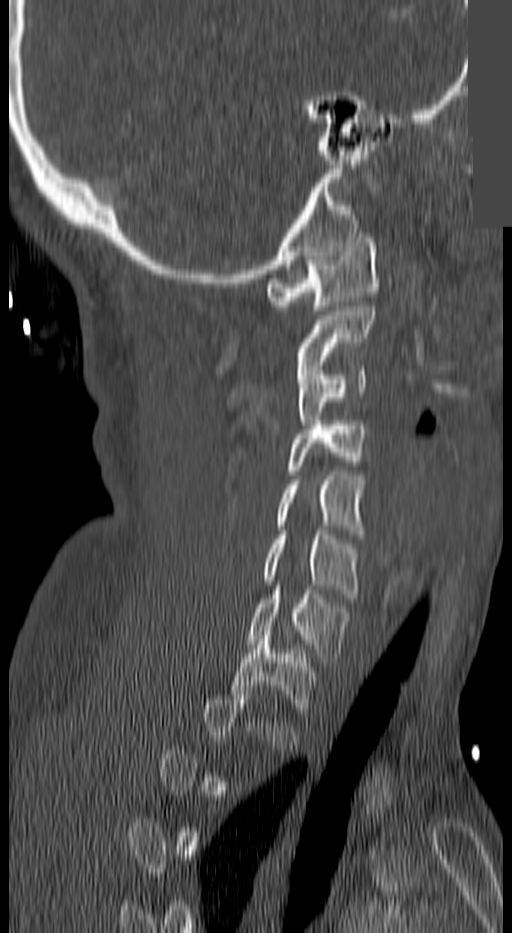

Spine computed tomography — the image is 140 mm wide — sagittal view — bone-window reconstruction — part of the image has been replaced by a constant value

Boxes: x1:y1:x2:y2 in pixels.
A vertebra gets a box only on the slices from the first to the last where its cross-section is at least a third of its largest; on a slice outside that range it gets none.
Vertebra bounding boxes:
- C1: 268:233:377:310
- C2: 298:306:373:369
- C3: 297:366:366:429
- C4: 287:421:366:474
- C5: 276:471:362:534
- C6: 265:530:359:598
- C7: 246:585:348:662
- T1: 232:631:315:703